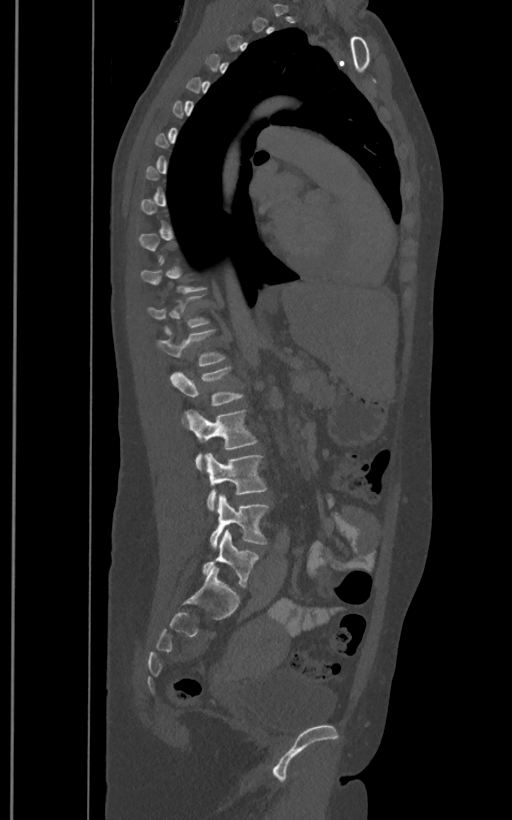
CT, spine. sagittal view. Bone window (WL 400, WW 1800). 512x820 px

Bounding boxes as [x1, y1, x2, y2] in pixel coordinates. Not every vertebra on this slice has a box: a vertebra is boxed only from the first to the last slice where its cross-section is at least a third of its largest, and this slice is outside that range for at least one of them. The labels name a sixth lumbar vertebra for this spine: L6, after L5. 6 vertebrae labeled — L1 at [156, 328, 224, 366]; L2 at [170, 367, 243, 406]; L3 at [183, 409, 257, 469]; L4 at [205, 453, 266, 509]; L5 at [210, 494, 269, 549]; L6 at [202, 530, 259, 587].